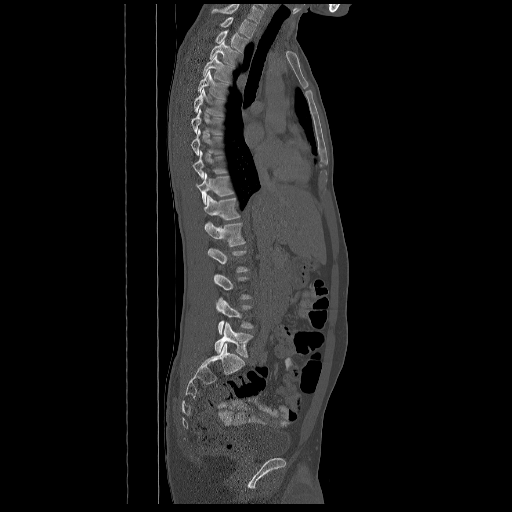 CT, spine. sagittal view. 672 mm across the image
Not every vertebra on this slice has a box: a vertebra is boxed only from the first to the last slice where its cross-section is at least a third of its largest, and this slice is outside that range for at least one of them.
Labels in this scan begin with T2 at the top and end with L5 at the bottom.
<vertebrae><v name="T2" x1="220" y1="17" x2="256" y2="38"/><v name="T3" x1="215" y1="30" x2="248" y2="51"/><v name="T4" x1="209" y1="40" x2="242" y2="65"/><v name="T5" x1="203" y1="55" x2="231" y2="82"/><v name="T6" x1="198" y1="71" x2="227" y2="99"/><v name="T7" x1="194" y1="88" x2="223" y2="115"/><v name="T8" x1="191" y1="109" x2="222" y2="135"/><v name="T9" x1="191" y1="129" x2="221" y2="155"/><v name="T10" x1="193" y1="151" x2="226" y2="180"/><v name="T11" x1="196" y1="173" x2="233" y2="204"/><v name="T12" x1="204" y1="195" x2="240" y2="230"/><v name="L1" x1="207" y1="222" x2="245" y2="247"/><v name="L2" x1="207" y1="248" x2="249" y2="272"/><v name="L4" x1="216" y1="297" x2="253" y2="334"/><v name="L5" x1="215" y1="322" x2="253" y2="357"/></vertebrae>